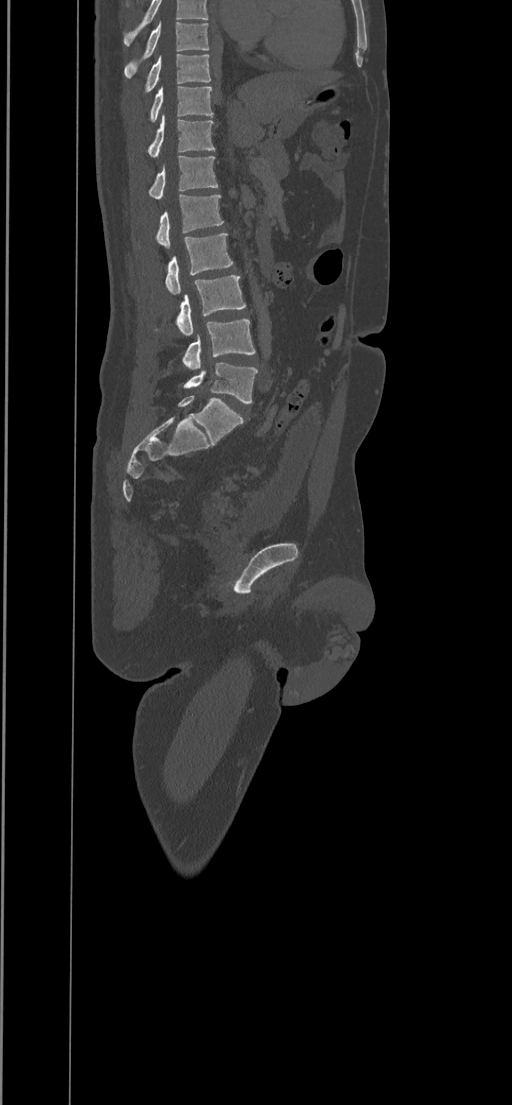 Computed tomography of the spine. sagittal reformat. the image spans 434 mm across
Each box is [x1, y1, x2, y2] in pixels: top-left corner, then bottom-right corner.
This scan's labels start at T8 at the top and end at L5 at the bottom.
{"vertebrae":{"L5":[183,362,257,404],"L4":[182,319,255,368],"L3":[156,275,245,336],"L2":[165,234,232,294],"L1":[156,194,223,247],"T12":[149,156,218,199],"T11":[147,115,215,157],"T10":[150,86,212,122],"T9":[144,54,211,92],"T8":[124,22,209,77]}}